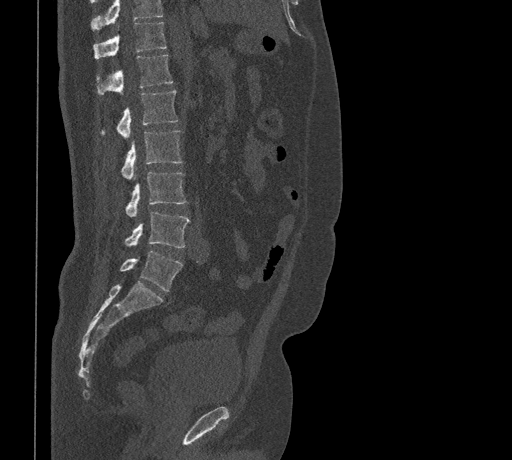 CT. sagittal view. bone window. Coordinates as <box>x1,y1,x2,y2</box>.
A vertebra cut off by the top edge of the scan is not labeled and has no box.
T11: <box>93,22,166,59</box>
T12: <box>96,55,172,95</box>
L1: <box>101,90,177,138</box>
L2: <box>121,130,182,179</box>
L3: <box>126,171,186,217</box>
L4: <box>125,212,190,247</box>
L5: <box>120,251,182,291</box>